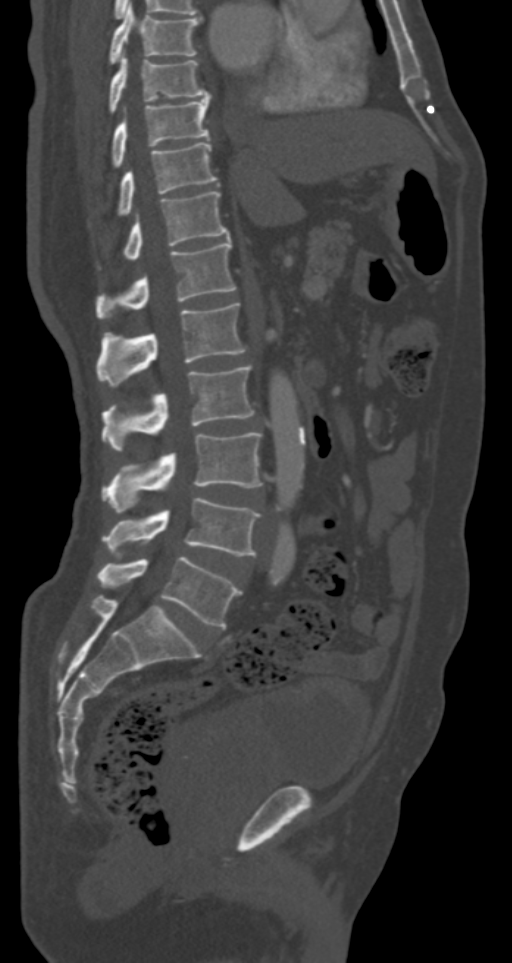
CT, spine; sagittal view; W/L 1800/400 HU; image width 287 mm
In the table, x1 and y1 are a box's top-left corner and x2 and y2 its bottom-right corner, in pixels.
| vertebra | x1 | y1 | x2 | y2 |
|---|---|---|---|---|
| T7 | 108 | 5 | 202 | 65 |
| T8 | 108 | 56 | 209 | 115 |
| T9 | 110 | 94 | 211 | 168 |
| T10 | 116 | 142 | 216 | 216 |
| T11 | 98 | 191 | 229 | 267 |
| T12 | 96 | 239 | 236 | 317 |
| L1 | 96 | 303 | 245 | 386 |
| L2 | 101 | 367 | 254 | 450 |
| L3 | 101 | 433 | 263 | 512 |
| L4 | 103 | 497 | 259 | 555 |
| L5 | 98 | 556 | 241 | 628 |